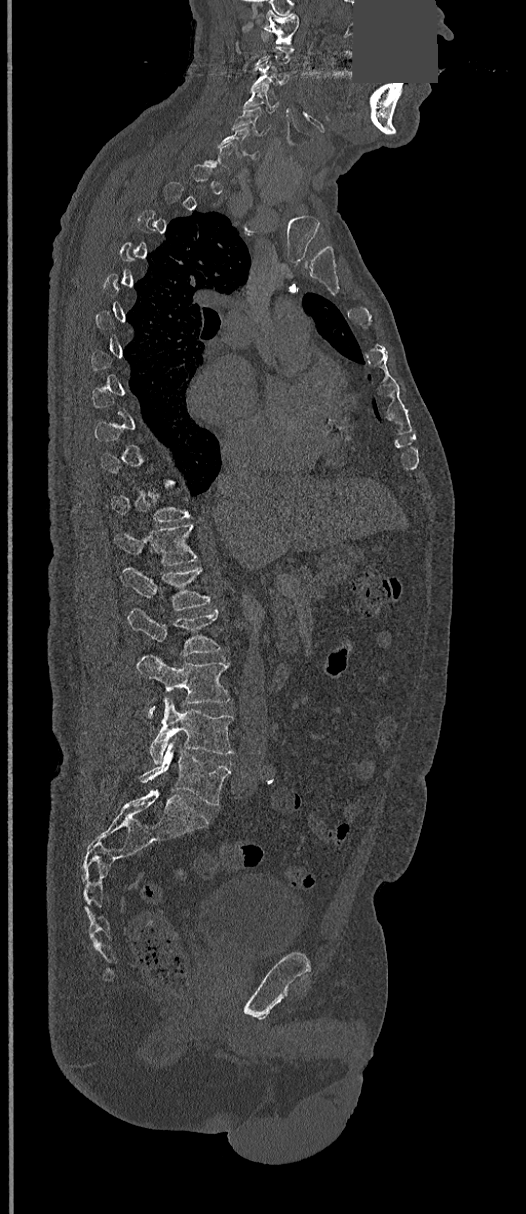
CT spine — sagittal view — W/L 1800/400 HU — 526x1214 px — part of the image has been replaced by a constant value

In the table, x1 and y1 are a box's top-left corner and x2 and y2 its bottom-right corner, in pixels.
A vertebra gets a box only on the slices from the first to the last where its cross-section is at least a third of its largest; on a slice outside that range it gets none.
| vertebra | x1 | y1 | x2 | y2 |
|---|---|---|---|---|
| C1 | 264 | 12 | 299 | 44 |
| C3 | 250 | 60 | 291 | 88 |
| C4 | 244 | 87 | 278 | 112 |
| C5 | 233 | 106 | 271 | 133 |
| C6 | 217 | 127 | 259 | 159 |
| T12 | 114 | 524 | 197 | 565 |
| L1 | 120 | 567 | 211 | 610 |
| L2 | 127 | 609 | 220 | 656 |
| L3 | 137 | 656 | 230 | 716 |
| L4 | 148 | 697 | 233 | 764 |
| L5 | 139 | 741 | 230 | 805 |